Spine computed tomography · sagittal reformat · 210 mm across the image · some of the image was removed or blocked out with constant pixels
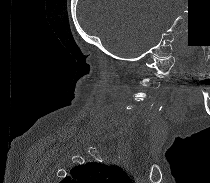
Boxes are (x1, y1, x2, y2) in pixels.
A vertebra is boxed only from the first to the last slice where its cross-section is at least a third of its largest; slices outside that range leave it without a box.
C1: (145, 55, 174, 74)
C3: (131, 81, 151, 98)